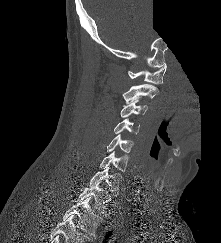 CT — 221 mm across the image — sagittal view — part of the scan has been removed (filled with constant black)
Each box given as x1,y1,x2,y2. 9 vertebrae labeled — C1 at x1=128, y1=64, x2=166, y2=84; C2 at x1=123, y1=84, x2=158, y2=104; C3 at x1=120, y1=100, x2=147, y2=117; C4 at x1=114, y1=118, x2=139, y2=134; C5 at x1=107, y1=134, x2=133, y2=152; C6 at x1=100, y1=151, x2=127, y2=172; C7 at x1=88, y1=166, x2=121, y2=195; T1 at x1=78, y1=181, x2=112, y2=212; T2 at x1=63, y1=197, x2=102, y2=236.